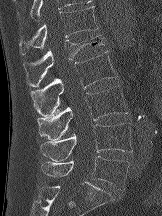

Spine computed tomography. sagittal view
Each box is [x1, y1, x2, y2] in pixels: top-left corner, then bottom-right corner.
{"vertebrae":{"L5":[41,156,129,190],"L4":[40,123,132,161],"L3":[37,86,128,141],"L2":[30,51,117,116],"L1":[23,35,105,86],"T12":[19,6,98,55]}}